Spine CT — sagittal plane, index 246 — the image spans 461 mm across — bone window
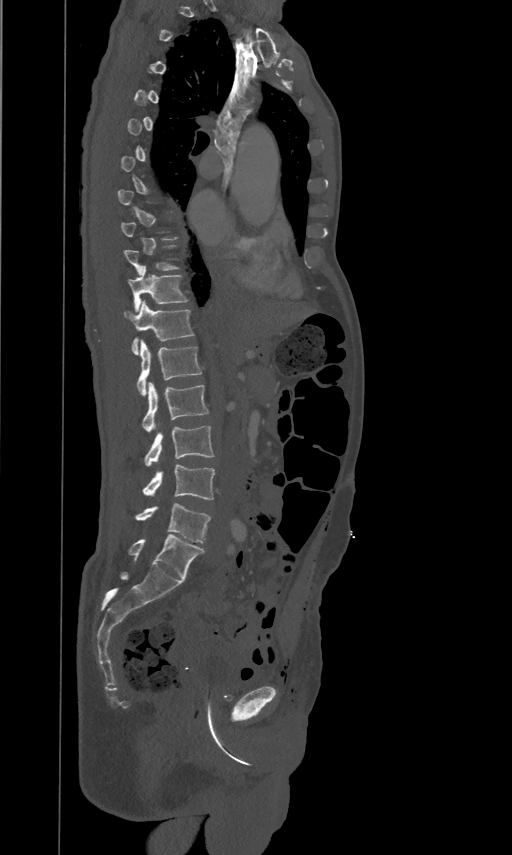
Boxes below are [x1, y1, x2, y2] in pixels.
Each vertebra is boxed only on the slices from the first to the last where its cross-section reaches a third of its largest, so a slice outside that range leaves it unboxed.
{"vertebrae":{"T11":[128,264,188,311],"T12":[124,300,193,353],"L1":[136,340,201,396],"L2":[142,382,209,432],"L3":[144,425,214,465],"L4":[143,464,214,500],"L5":[135,503,210,543]}}